Spine CT · 140 mm across the image · Sagittal slice 305/512 · 512x923 px · 11 vertebrae labeled in this scan
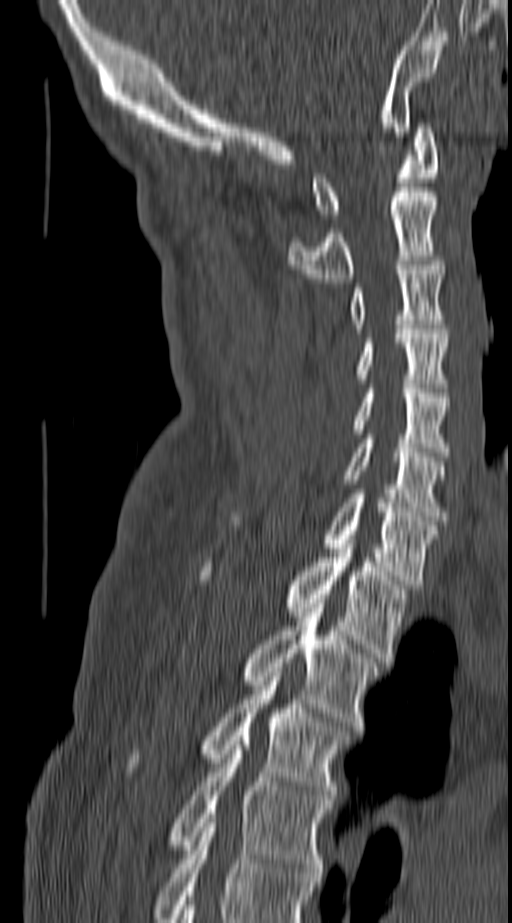

This scan's labels start at C1 at the top and end at T4 at the bottom.
<vertebrae><v name="T4" x1="166" y1="741" x2="333" y2="877"/><v name="T3" x1="126" y1="672" x2="348" y2="799"/><v name="T2" x1="239" y1="603" x2="381" y2="730"/><v name="T1" x1="199" y1="539" x2="410" y2="662"/><v name="C7" x1="323" y1="494" x2="439" y2="589"/><v name="C6" x1="345" y1="434" x2="447" y2="520"/><v name="C5" x1="349" y1="389" x2="450" y2="456"/><v name="C4" x1="356" y1="329" x2="450" y2="388"/><v name="C3" x1="349" y1="261" x2="447" y2="328"/><v name="C2" x1="287" y1="187" x2="436" y2="282"/><v name="C1" x1="312" y1="123" x2="436" y2="218"/></vertebrae>